Spine CT; Sagittal slice 264/512; 477 mm across the image; 712x702 px
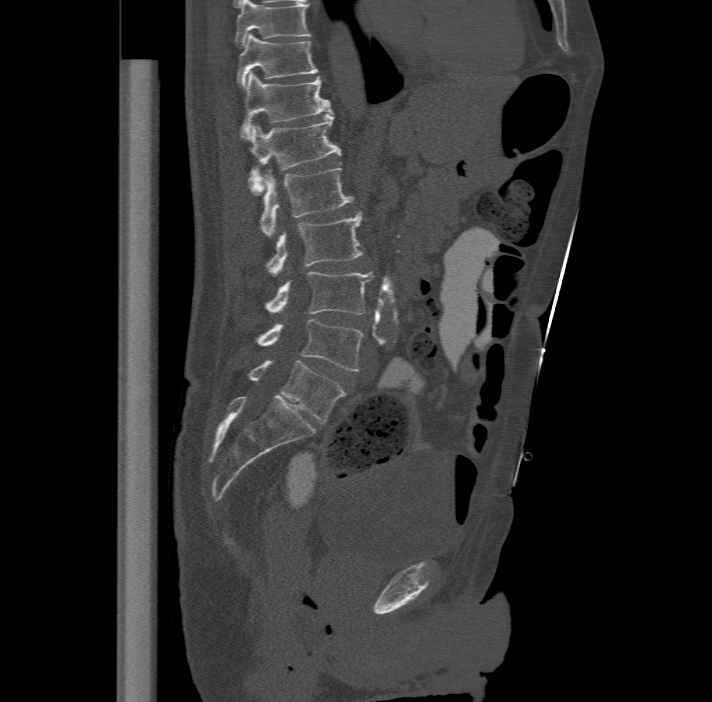 In the table, x1 and y1 are a box's top-left corner and x2 and y2 its bottom-right corner, in pixels.
In this scan, the topmost labeled vertebra is T11 and the lowest is L6.
The labels name a sixth lumbar vertebra for this spine: L6, after L5.
| vertebra | x1 | y1 | x2 | y2 |
|---|---|---|---|---|
| T11 | 238 | 33 | 317 | 87 |
| T12 | 241 | 71 | 331 | 138 |
| L1 | 248 | 112 | 341 | 193 |
| L2 | 260 | 167 | 352 | 236 |
| L3 | 267 | 210 | 363 | 275 |
| L4 | 266 | 270 | 372 | 314 |
| L5 | 257 | 318 | 363 | 371 |
| L6 | 248 | 360 | 345 | 422 |